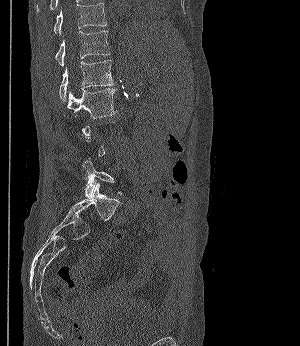 Spine computed tomography · sagittal view
Box values are [left, top, right, bottom] in pixels.
Not every vertebra on this slice has a box: a vertebra is boxed only from the first to the last slice where its cross-section is at least a third of its largest, and this slice is outside that range for at least one of them.
{"vertebrae":{"T11":[54,3,106,36],"T12":[55,30,109,66],"L1":[59,60,113,100],"L2":[68,88,117,118],"L5":[82,160,127,198]}}